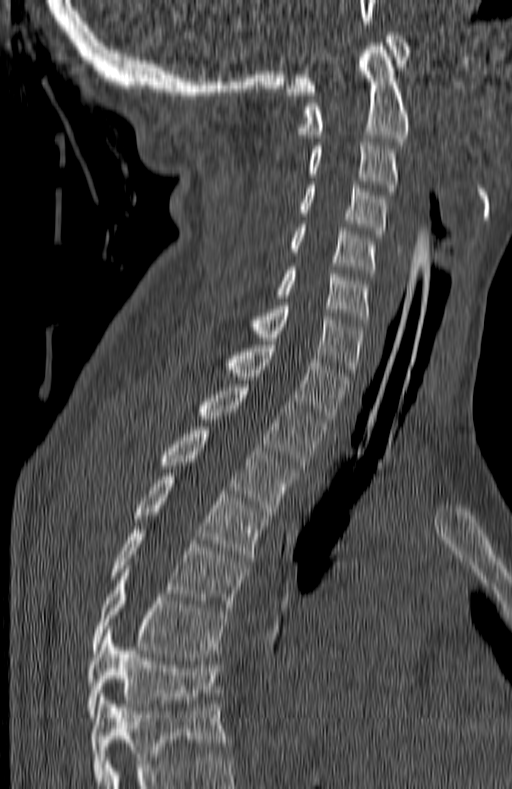
CT — sagittal reformat — image width 180 mm — 512x789 px

The highest labeled vertebra in this scan is C1; the lowest is T7.
<vertebrae><v name="C1" x1="287" y1="32" x2="409" y2="95"/><v name="C2" x1="300" y1="43" x2="410" y2="141"/><v name="C3" x1="308" y1="142" x2="398" y2="195"/><v name="C4" x1="300" y1="185" x2="387" y2="237"/><v name="C5" x1="291" y1="224" x2="375" y2="276"/><v name="C6" x1="277" y1="267" x2="370" y2="323"/><v name="C7" x1="254" y1="302" x2="364" y2="376"/><v name="T1" x1="228" y1="341" x2="350" y2="422"/><v name="T2" x1="200" y1="384" x2="324" y2="468"/><v name="T3" x1="160" y1="427" x2="296" y2="511"/><v name="T4" x1="135" y1="473" x2="267" y2="561"/><v name="T5" x1="112" y1="526" x2="247" y2="611"/><v name="T6" x1="92" y1="569" x2="227" y2="657"/><v name="T7" x1="86" y1="629" x2="219" y2="717"/></vertebrae>